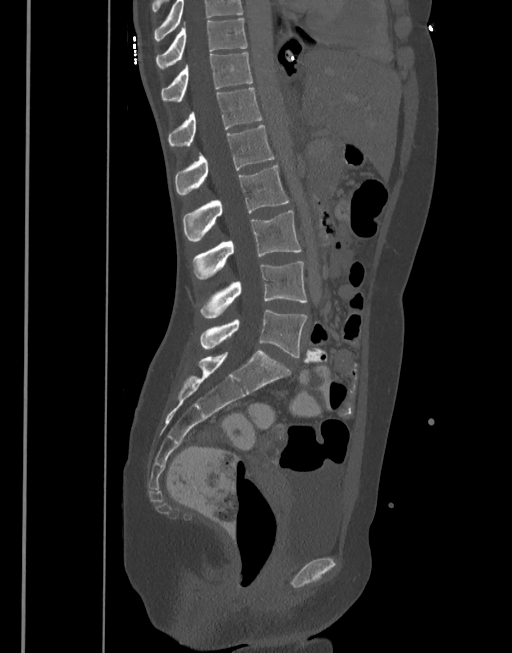 CT · sagittal view · bone window

Box edges are left/top/right/bottom in pixels. In this scan, the topmost labeled vertebra is T10 and the lowest is L5. The labeled vertebrae in this slice are: L5 at left=199, top=309, right=307, bottom=357, L4 at left=200, top=262, right=307, bottom=318, L3 at left=193, top=210, right=301, bottom=279, L2 at left=183, top=165, right=288, bottom=242, L1 at left=175, top=125, right=275, bottom=196, T12 at left=168, top=88, right=262, bottom=146, T11 at left=161, top=53, right=253, bottom=100, T10 at left=156, top=18, right=247, bottom=69.